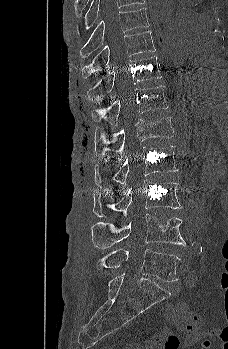

CT spine · sagittal view · Bone window (WL 400, WW 1800). In the table, x1 and y1 are a box's top-left corner and x2 and y2 its bottom-right corner, in pixels.
| vertebra | x1 | y1 | x2 | y2 |
|---|---|---|---|---|
| L5 | 96 | 249 | 180 | 281 |
| L4 | 91 | 214 | 185 | 248 |
| L3 | 93 | 179 | 182 | 217 |
| L2 | 94 | 145 | 178 | 187 |
| L1 | 94 | 116 | 173 | 158 |
| T12 | 91 | 85 | 168 | 127 |
| T11 | 87 | 56 | 161 | 102 |
| T10 | 81 | 30 | 155 | 79 |
| T9 | 80 | 7 | 149 | 59 |